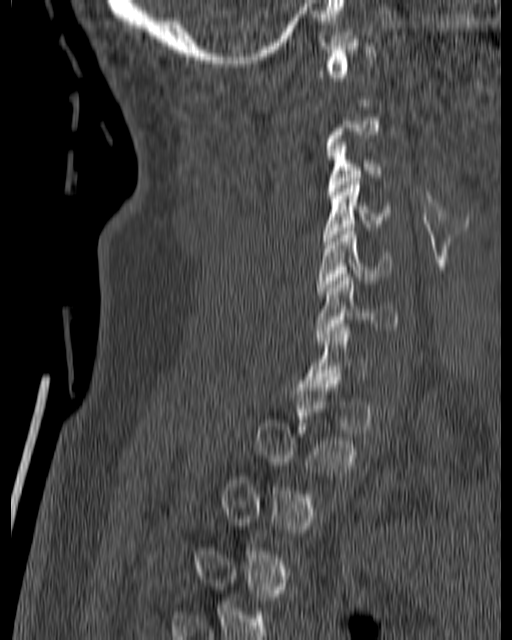

CT, spine; sagittal view; 512x640 px
Box values are [left, top, right, bottom] in pixels.
A vertebra gets a box only on the slices from the first to the last where its cross-section is at least a third of its largest; on a slice outside that range it gets none.
{"vertebrae":{"C3":[328,142,381,195],"C4":[322,178,390,244],"C5":[316,228,390,294],"C6":[316,274,399,344]}}